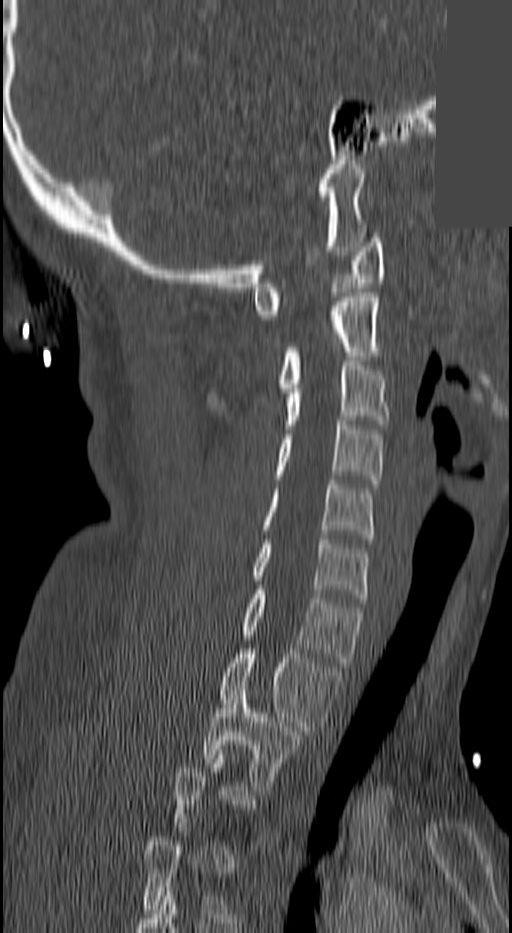

Computed tomography of the spine; sagittal reformat; 512x933 px; 140 mm image width; a region of this slice is masked with a uniform fill

Box edges are left/top/right/bottom in pixels.
A vertebra gets a box only on the slices from the first to the last where its cross-section is at least a third of its largest; on a slice outside that range it gets none.
Vertebra bounding boxes:
- T2: left=202, top=690, right=300, bottom=790
- T1: left=221, top=649, right=340, bottom=735
- C7: left=243, top=590, right=362, bottom=666
- C6: left=254, top=539, right=366, bottom=602
- C5: left=261, top=480, right=373, bottom=543
- C4: left=276, top=421, right=384, bottom=484
- C3: left=283, top=361, right=389, bottom=429
- C2: left=279, top=293, right=381, bottom=392
- C1: left=254, top=238, right=384, bottom=319